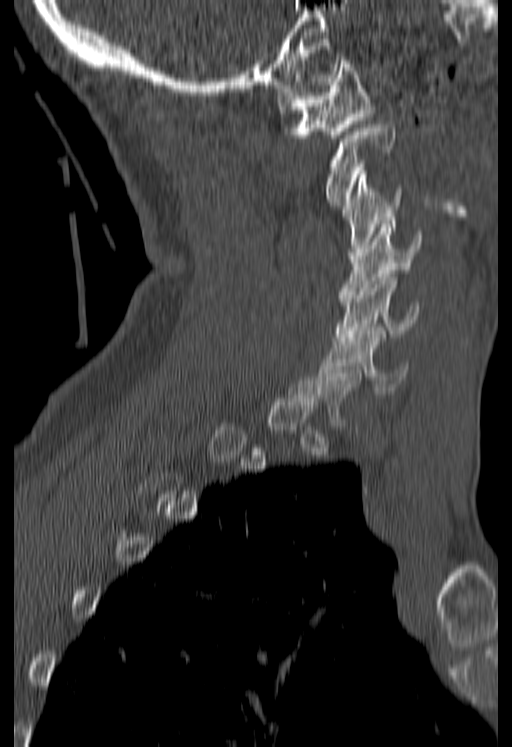

CT, spine; sagittal view
A vertebra is boxed only from the first to the last slice where its cross-section is at least a third of its largest; slices outside that range leave it without a box.
<vertebrae><v name="C6" x1="320" y1="331" x2="407" y2="394"/><v name="C5" x1="333" y1="274" x2="418" y2="340"/><v name="C4" x1="339" y1="220" x2="421" y2="298"/><v name="C3" x1="342" y1="171" x2="402" y2="259"/><v name="C2" x1="325" y1="124" x2="395" y2="205"/><v name="C1" x1="278" y1="57" x2="373" y2="138"/></vertebrae>